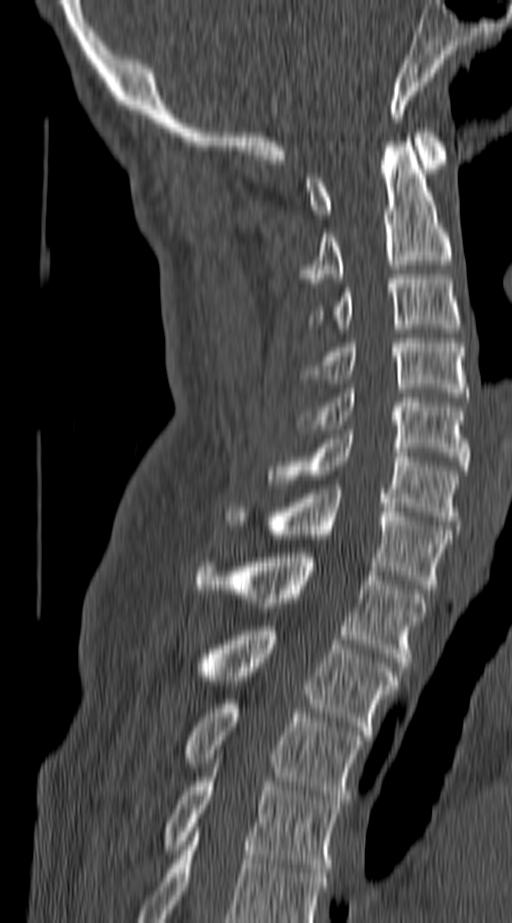 CT — sagittal view — the image is 140 mm wide
Boxes: x1 y1 x2 y2 (pixel coords, space-separated). The highest labeled vertebra in this scan is C1; the lowest is T4. The labeled vertebrae in this slice are: T4 at 162 777 340 872, T3 at 181 699 362 804, T2 at 192 626 395 735, T1 at 195 553 425 666, C7 at 224 489 450 589, C6 at 266 434 457 525, C5 at 295 389 468 470, C4 at 309 338 465 397, C3 at 312 274 461 328, C2 at 297 142 450 282, C1 at 305 128 443 218.